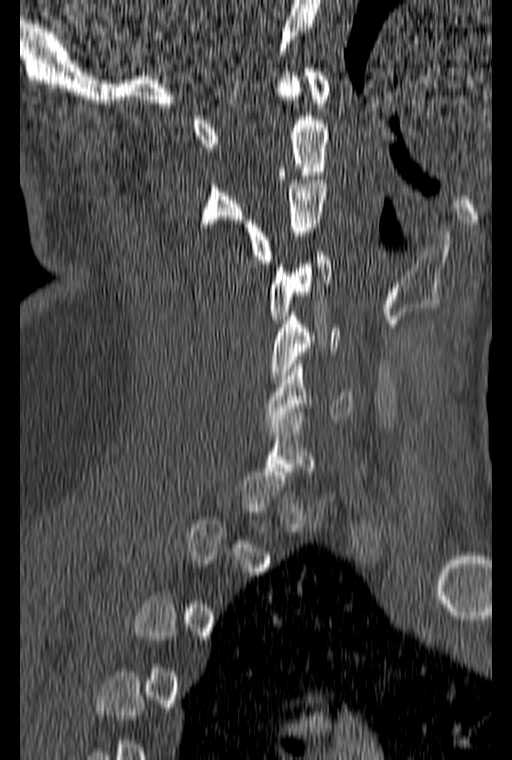

CT — sagittal view — Bone window (WL 400, WW 1800) — 512x760 px — image width 160 mm
Not every vertebra on this slice has a box: a vertebra is boxed only from the first to the last slice where its cross-section is at least a third of its largest, and this slice is outside that range for at least one of them.
<vertebrae><v name="C1" x1="193" y1="68" x2="329" y2="147"/><v name="C2" x1="199" y1="76" x2="329" y2="227"/><v name="C3" x1="244" y1="176" x2="326" y2="263"/><v name="C4" x1="269" y1="252" x2="330" y2="319"/><v name="C5" x1="270" y1="312" x2="340" y2="379"/><v name="C6" x1="265" y1="356" x2="353" y2="427"/></vertebrae>